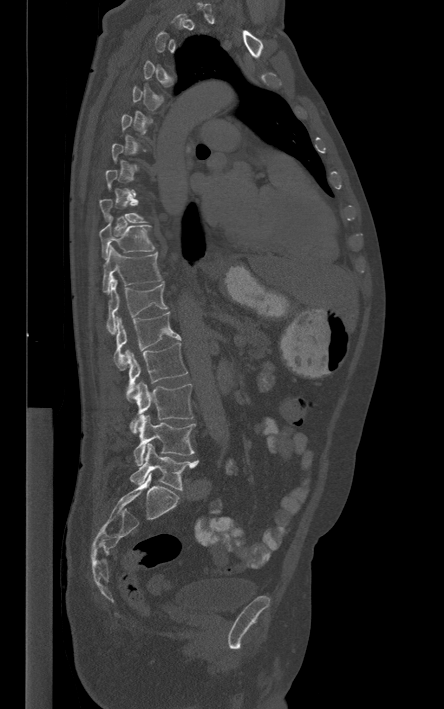

Spine computed tomography · sagittal view · 444 mm across the image
Boxes are given in columns x1, y1, x2, y2, the pixel coordinates of their top-left and bottom-right corners.
Not every vertebra on this slice has a box: a vertebra is boxed only from the first to the last slice where its cross-section is at least a third of its largest, and this slice is outside that range for at least one of them.
| vertebra | x1 | y1 | x2 | y2 |
|---|---|---|---|---|
| L5 | 130 | 443 | 198 | 490 |
| L4 | 133 | 414 | 195 | 465 |
| L3 | 130 | 381 | 193 | 433 |
| L2 | 125 | 343 | 187 | 400 |
| L1 | 113 | 312 | 181 | 370 |
| T12 | 106 | 275 | 167 | 334 |
| T11 | 102 | 246 | 161 | 293 |
| T10 | 99 | 220 | 154 | 259 |